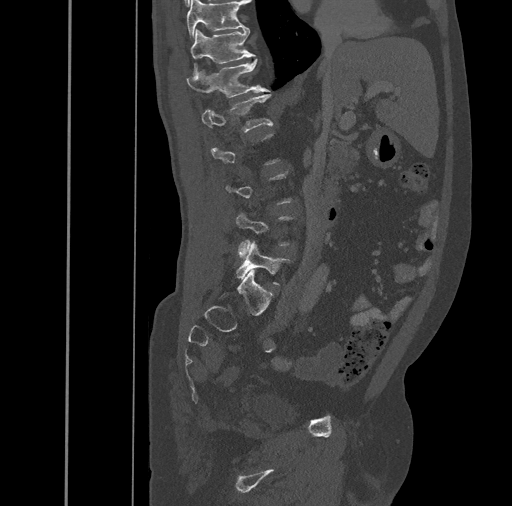 Spine CT. sagittal view. 512x506 px. 461 mm image width
Bounding boxes as [x1, y1, x2, y2] in pixel coordinates.
Each vertebra is boxed only on the slices from the first to the last where its cross-section reaches a third of its largest, so a slice outside that range leaves it unboxed.
T10: [187, 0, 245, 41]
T11: [190, 28, 254, 73]
T12: [187, 58, 270, 97]
L1: [201, 94, 272, 132]
L5: [236, 242, 289, 285]